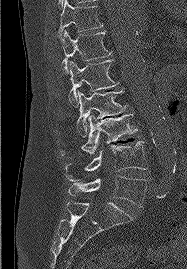 CT; sagittal reformat; Bone window (WL 400, WW 1800)
Box values are [left, top, right, bottom] in pixels.
{"vertebrae":{"T11":[57,0,102,37],"T12":[60,30,111,73],"L1":[68,60,118,107],"L2":[77,88,125,137],"L3":[60,113,137,156],"L4":[65,141,147,181],"L5":[68,176,146,207]}}